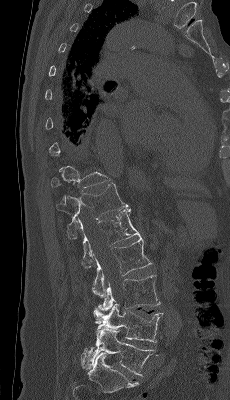

CT, spine · sagittal view · 230 mm wide
A vertebra gets a box only on the slices from the first to the last where its cross-section is at least a third of its largest; on a slice outside that range it gets none.
<vertebrae><v name="T12" x1="56" y1="183" x2="128" y2="238"/><v name="L1" x1="78" y1="208" x2="141" y2="268"/><v name="L2" x1="92" y1="238" x2="151" y2="297"/><v name="L3" x1="98" y1="275" x2="160" y2="311"/><v name="L4" x1="93" y1="302" x2="163" y2="342"/><v name="L5" x1="86" y1="327" x2="155" y2="376"/></vertebrae>